Spine CT. 350 mm image width. sagittal reformat
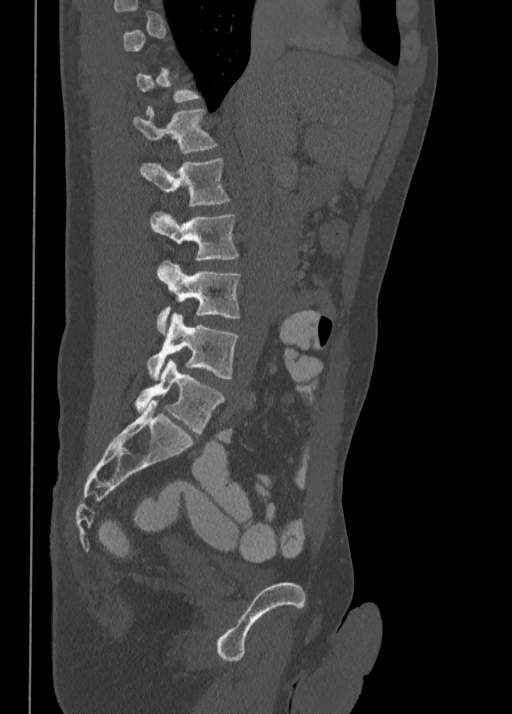 A vertebra gets a box only on the slices from the first to the last where its cross-section is at least a third of its largest; on a slice outside that range it gets none.
<vertebrae><v name="L5" x1="134" y1="359" x2="224" y2="433"/><v name="L4" x1="146" y1="313" x2="237" y2="379"/><v name="L3" x1="156" y1="261" x2="240" y2="333"/><v name="L2" x1="150" y1="212" x2="239" y2="261"/><v name="L1" x1="139" y1="158" x2="230" y2="207"/><v name="T12" x1="133" y1="105" x2="217" y2="152"/></vertebrae>